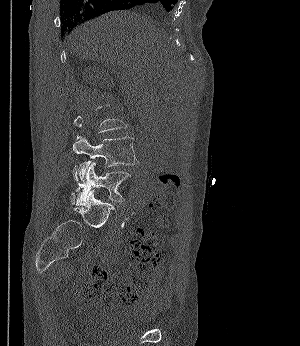

Spine computed tomography · sagittal view · 300 mm wide · 300x346 px
Bounding boxes as [x1, y1, x2, y2] in pixel coordinates. Not every vertebra on this slice has a box: a vertebra is boxed only from the first to the last slice where its cross-section is at least a third of its largest, and this slice is outside that range for at least one of them. Vertebrae labeled: L4 at [73, 136, 138, 181], L5 at [72, 162, 131, 205].